Spine computed tomography; sagittal plane, index 267; bone window; 512x789 px
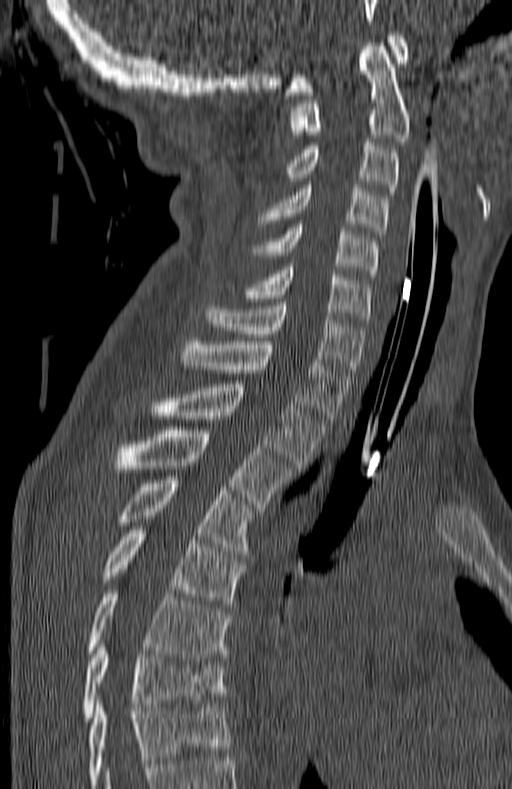
Box values are [left, top, right, bottom] in pixels.
This scan's labels start at C1 at the top and end at T7 at the bottom.
{"vertebrae":{"C1":[286,32,408,95],"C2":[288,43,410,141],"C3":[280,142,398,195],"C4":[260,185,387,234],"C5":[254,224,378,276],"C6":[246,267,370,319],"C7":[206,302,364,376],"T1":[180,341,350,422],"T2":[152,384,324,468],"T3":[115,430,293,511],"T4":[118,476,253,554],"T5":[103,526,245,607],"T6":[89,590,230,660],"T7":[83,640,225,721]}}